CT, spine; sagittal reformat
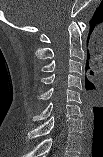
This scan's labels start at C1 at the top and end at C7 at the bottom.
<vertebrae><v name="C1" x1="40" y1="22" x2="85" y2="42"/><v name="C2" x1="35" y1="21" x2="84" y2="59"/><v name="C3" x1="41" y1="59" x2="83" y2="74"/><v name="C4" x1="41" y1="74" x2="81" y2="89"/><v name="C5" x1="37" y1="88" x2="81" y2="104"/><v name="C6" x1="32" y1="102" x2="82" y2="121"/><v name="C7" x1="27" y1="116" x2="83" y2="138"/></vertebrae>